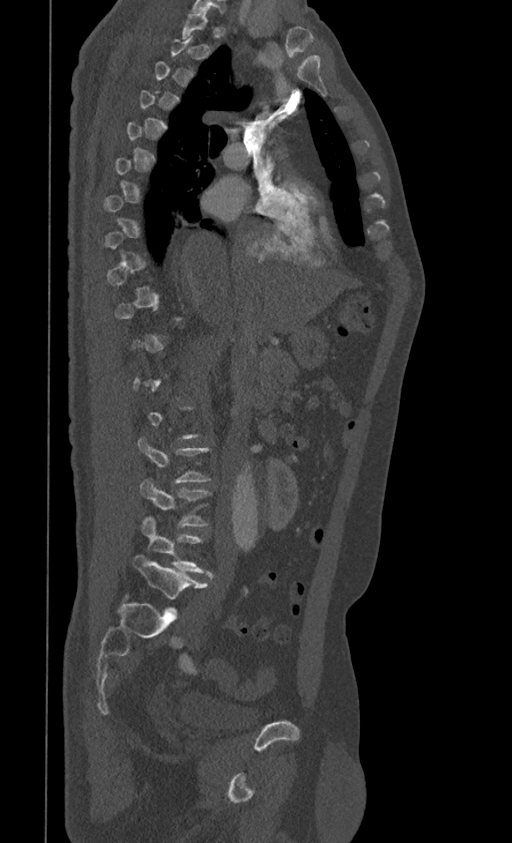 Computed tomography of the spine · sagittal view · W/L 1800/400 HU
Each box is [x1, y1, x2, y2] in pixels: top-left corner, then bottom-right corner.
A vertebra gets a box only on the slices from the first to the last where its cross-section is at least a third of its largest; on a slice outside that range it gets none.
{"vertebrae":{"L3":[140,478,211,527],"L4":[141,517,211,575],"L5":[132,554,207,598]}}